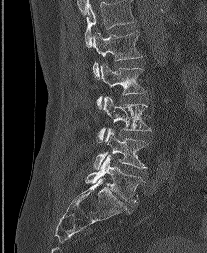

CT — sagittal view

This scan's labels start at L1 at the top and end at L5 at the bottom.
<vertebrae><v name="L1" x1="93" y1="31" x2="142" y2="78"/><v name="L2" x1="97" y1="63" x2="144" y2="109"/><v name="L3" x1="97" y1="97" x2="151" y2="142"/><v name="L4" x1="94" y1="128" x2="149" y2="169"/><v name="L5" x1="85" y1="155" x2="143" y2="203"/></vertebrae>